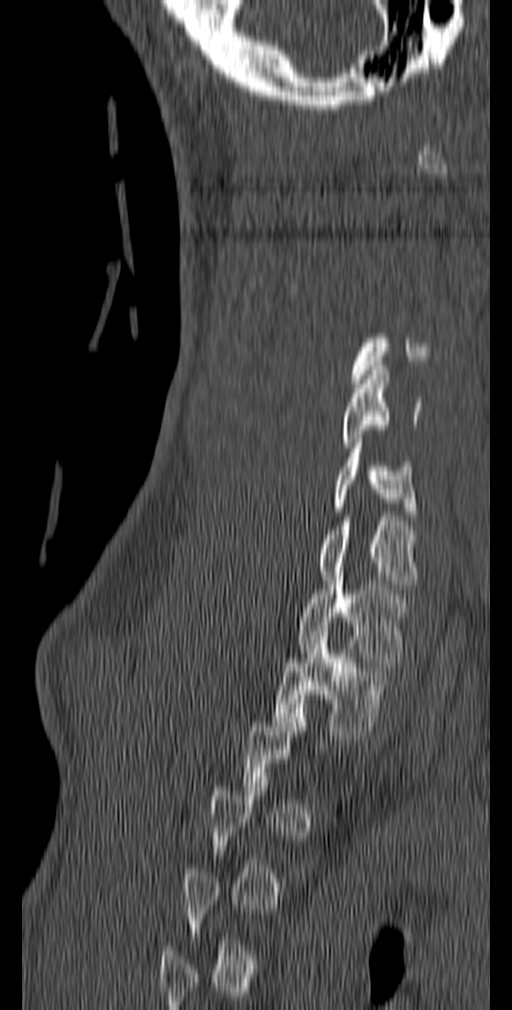 CT spine · sagittal reformat · 512x1010 px

Boxes: x1 y1 x2 y2 (pixel coords, space-separated). Not every vertebra on this slice has a box: a vertebra is boxed only from the first to the last slice where its cross-section is at least a third of its largest, and this slice is outside that range for at least one of them. 5 vertebrae labeled — C5 at 341 366 422 447; C6 at 334 439 418 520; C7 at 316 521 421 589; T1 at 297 576 407 666; T2 at 273 631 393 735.